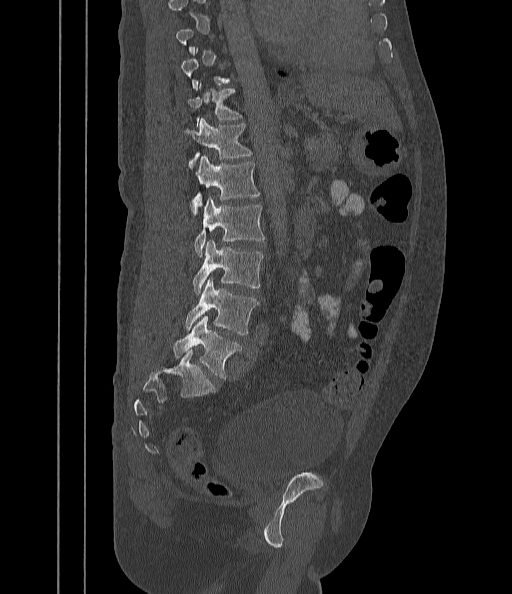 CT spine. sagittal view. W/L 1800/400 HU. 512x594 px. image 442 mm wide

In the table, x1 and y1 are a box's top-left corner and x2 and y2 its bottom-right corner, in pixels.
Not every vertebra on this slice has a box: a vertebra is boxed only from the first to the last slice where its cross-section is at least a third of its largest, and this slice is outside that range for at least one of them.
| vertebra | x1 | y1 | x2 | y2 |
|---|---|---|---|---|
| T11 | 188 | 85 | 241 | 121 |
| T12 | 184 | 118 | 251 | 168 |
| L1 | 191 | 155 | 260 | 213 |
| L2 | 195 | 196 | 264 | 256 |
| L3 | 192 | 240 | 263 | 294 |
| L4 | 184 | 278 | 258 | 334 |
| L5 | 174 | 314 | 241 | 378 |